CT. sagittal plane, index 277. 512x1029 px
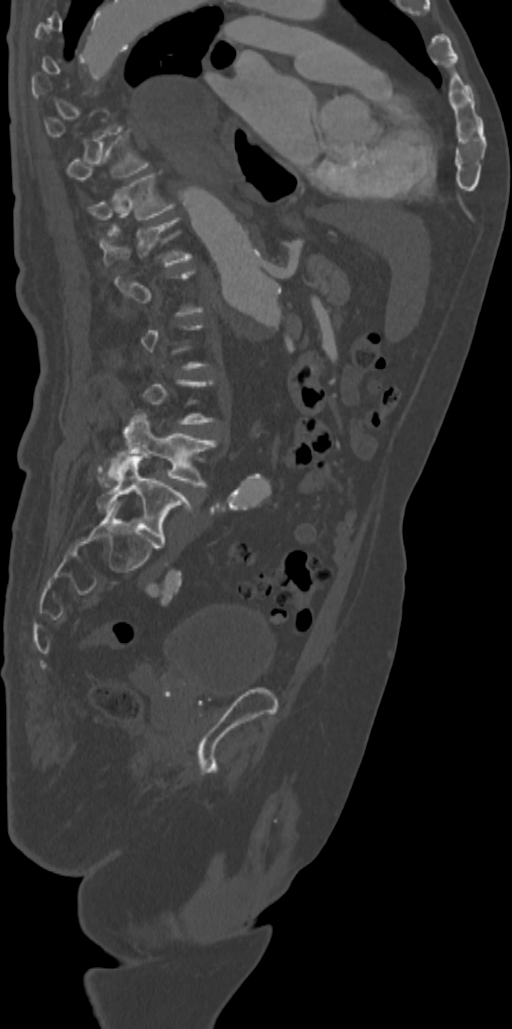

Each vertebra is boxed only on the slices from the first to the last where its cross-section reaches a third of its largest, so a slice outside that range leaves it unboxed.
<vertebrae><v name="T11" x1="88" y1="175" x2="173" y2="219"/><v name="T12" x1="100" y1="218" x2="190" y2="266"/><v name="L4" x1="99" y1="413" x2="216" y2="486"/><v name="L5" x1="97" y1="454" x2="192" y2="545"/></vertebrae>